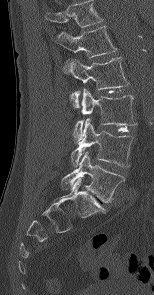

CT, spine — sagittal view — 154 mm image width — W/L 1800/400 HU
Columns x1, y1, x2, y2 give each box's top-left and bottom-right pixels.
In this scan, the topmost labeled vertebra is L1 and the lowest is L5.
| vertebra | x1 | y1 | x2 | y2 |
|---|---|---|---|---|
| L1 | 57 | 25 | 117 | 57 |
| L2 | 63 | 57 | 128 | 108 |
| L3 | 74 | 89 | 136 | 144 |
| L4 | 71 | 118 | 133 | 166 |
| L5 | 61 | 151 | 125 | 202 |